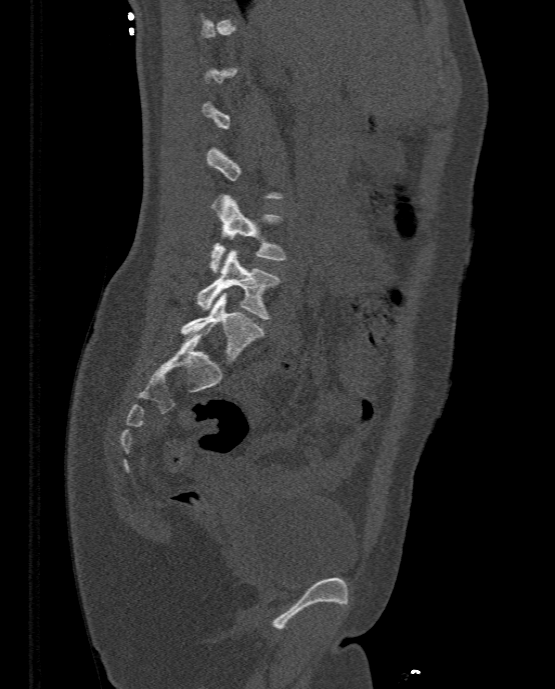 Spine CT; sagittal view; bone window; 555x689 px
Each vertebra is boxed only on the slices from the first to the last where its cross-section reaches a third of its largest, so a slice outside that range leaves it unboxed.
<vertebrae><v name="L5" x1="181" y1="292" x2="263" y2="362"/><v name="L4" x1="195" y1="249" x2="281" y2="319"/><v name="L3" x1="208" y1="195" x2="285" y2="272"/></vertebrae>